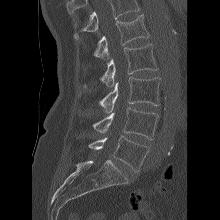 CT spine · sagittal view
Box edges are left/top/right/bottom in pixels.
Where the top of the scan cuts through a vertebra, that vertebra gets no label or box.
L1: left=91, top=14, right=149, bottom=59
L2: left=84, top=43, right=157, bottom=87
L3: left=99, top=77, right=160, bottom=113
L4: left=93, top=107, right=158, bottom=139
L5: left=88, top=135, right=149, bottom=171